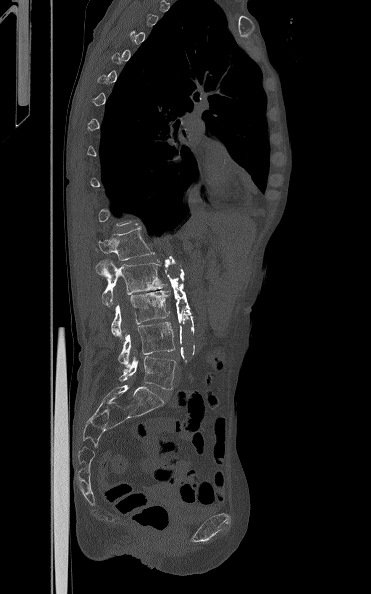 Spine computed tomography; sagittal reformat; 371x594 px
Each box is [x1, y1, x2, y2] in pixels: top-left corner, then bottom-right corner.
Each vertebra is boxed only on the slices from the first to the last where its cross-section reaches a third of its largest, so a slice outside that range leaves it unboxed.
{"vertebrae":{"L1":[98,226,154,260],"L2":[96,261,167,306],"L3":[111,290,170,337],"L4":[118,322,174,367],"L5":[119,356,176,389]}}